CT, spine. Sagittal slice 210/512. 512x933 px. a region is masked with a constant gray value
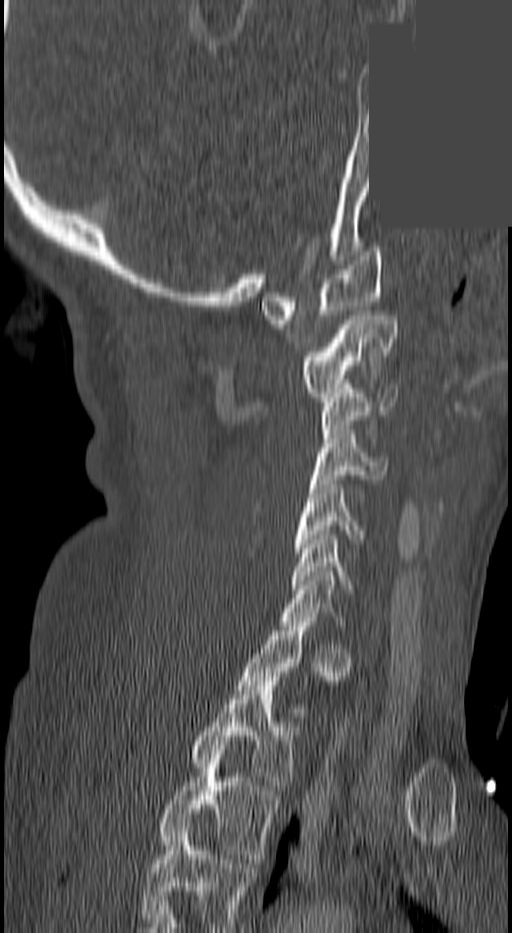

Boxes: x1 y1 x2 y2 (pixel coords, space-separated).
A vertebra is boxed only from the first to the last slice where its cross-section is at least a third of its largest; slices outside that range leave it without a box.
In this scan, the topmost labeled vertebra is C1 and the lowest is T3.
Vertebra bounding boxes:
- C1: 261 247 381 324
- C2: 299 315 395 401
- C3: 321 389 398 438
- C4: 312 434 386 484
- C5: 292 485 362 552
- C6: 290 535 351 589
- T2: 192 677 293 790
- T3: 159 750 278 858